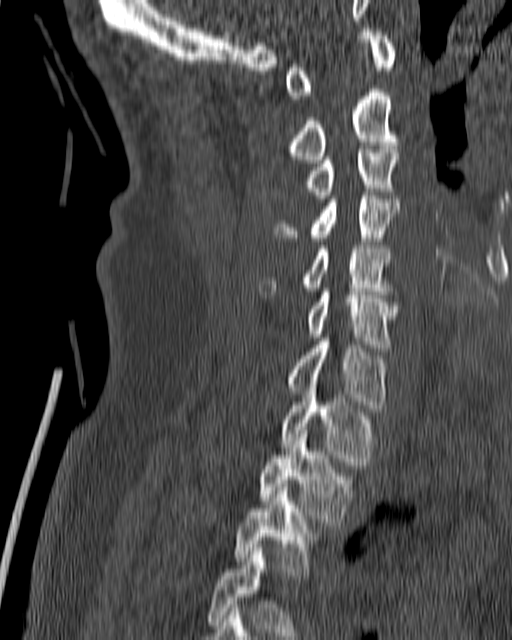
CT spine · sagittal view · W/L 1800/400 HU · the image spans 180 mm across

Boxes: x1:y1:x2:y2 in pixels.
Vertebra bounding boxes:
- T4: 208:548:310:639
- T3: 234:484:318:575
- T2: 258:430:353:522
- T1: 280:388:373:465
- C7: 285:338:387:411
- C6: 305:288:398:347
- C5: 258:245:390:294
- C4: 274:192:399:241
- C3: 305:146:398:198
- C2: 288:92:398:163
- C1: 285:28:396:99